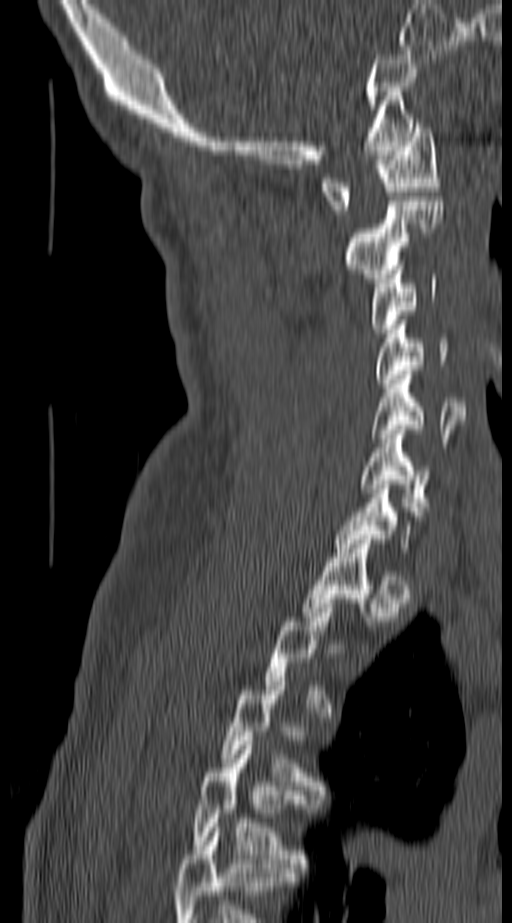 Computed tomography of the spine; 140 mm across the image; sagittal view
Each row gives a vertebra's box as x1, y1, x2, y2 in pixels: top-left corner, then bottom-right corner.
Each vertebra is boxed only on the slices from the first to the last where its cross-section reaches a third of its largest, so a slice outside that range leaves it unboxed.
This scan's labels start at C1 at the top and end at T4 at the bottom.
| vertebra | x1 | y1 | x2 | y2 |
|---|---|---|---|---|
| T4 | 192 | 741 | 308 | 868 |
| C6 | 360 | 430 | 431 | 511 |
| C5 | 371 | 370 | 465 | 442 |
| C4 | 374 | 325 | 452 | 383 |
| C3 | 371 | 265 | 436 | 333 |
| C2 | 345 | 201 | 443 | 282 |
| C1 | 323 | 123 | 441 | 214 |